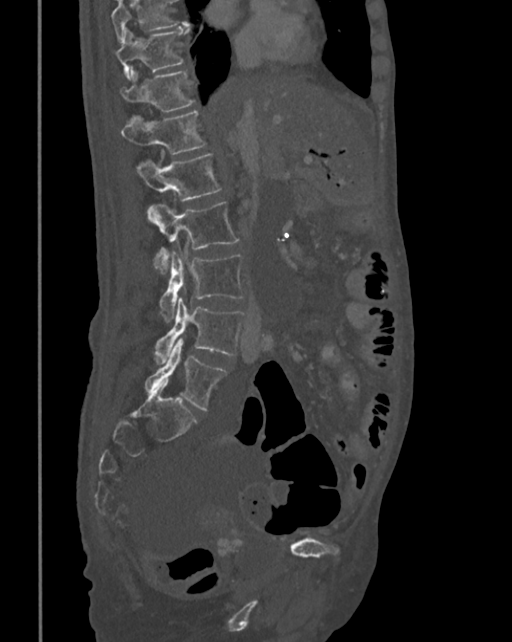 CT, spine — 342 mm across the image — sagittal reformat — bone window — 512x642 px. Box edges are left/top/right/bottom in pixels.
No box is given to a vertebra that the top edge of the scan cuts off.
Vertebra bounding boxes:
- T10: left=115, top=26, right=189, bottom=79
- T11: left=120, top=68, right=195, bottom=112
- T12: left=121, top=111, right=205, bottom=154
- L1: left=136, top=153, right=222, bottom=201
- L2: left=148, top=202, right=238, bottom=274
- L3: left=160, top=252, right=244, bottom=322
- L4: left=154, top=297, right=245, bottom=364
- L5: left=145, top=338, right=226, bottom=410